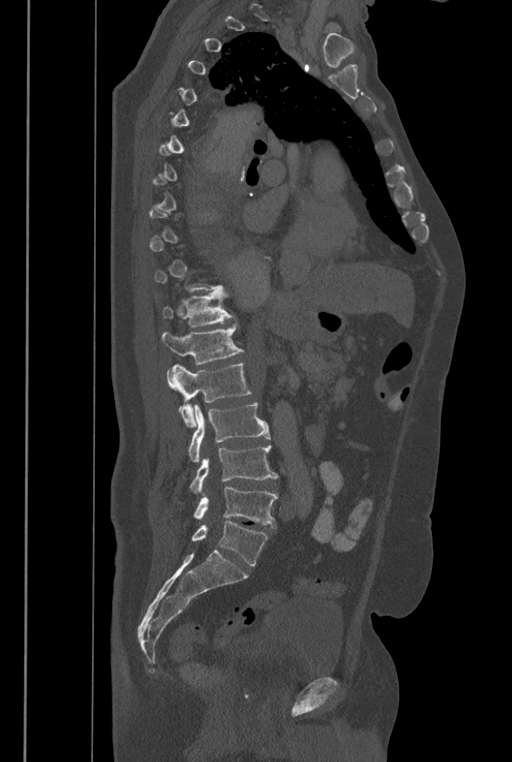 CT · sagittal reformat · the image spans 446 mm across · bone-window reconstruction · 512x762 px. Boxes: x1:y1:x2:y2 in pixels. Not every vertebra on this slice has a box: a vertebra is boxed only from the first to the last slice where its cross-section is at least a third of its largest, and this slice is outside that range for at least one of them. The labels name a sixth lumbar vertebra for this spine: L6, after L5. The labeled vertebrae in this slice are: L6 at 192:521:268:565, L5 at 194:487:278:527, L4 at 189:445:278:493, L3 at 188:402:270:462, L2 at 167:363:251:427, L1 at 162:322:242:365, T12 at 162:291:234:327.